CT, spine. Sagittal slice 234/512. 523x792 px. the image is 471 mm wide
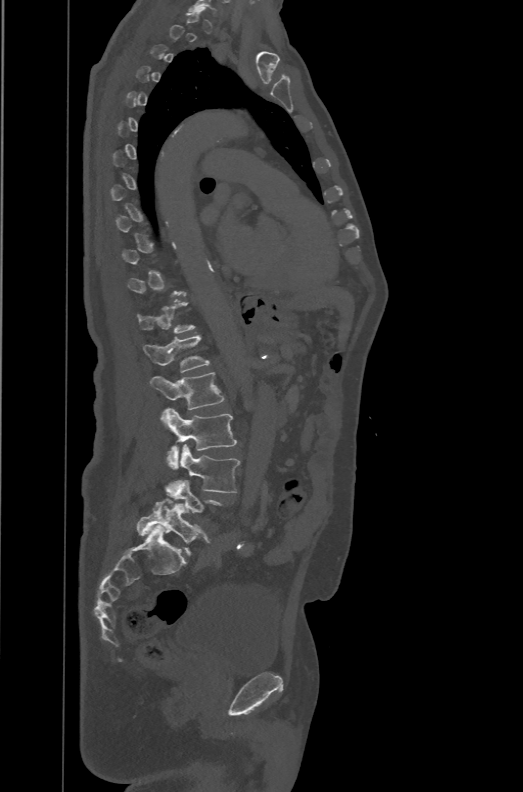
Each vertebra is boxed only on the slices from the first to the last where its cross-section reaches a third of its largest, so a slice outside that range leaves it unboxed.
The labels name a sixth lumbar vertebra for this spine: L6, after L5.
<vertebrae><v name="T12" x1="136" y1="302" x2="194" y2="333"/><v name="L1" x1="143" y1="335" x2="209" y2="372"/><v name="L2" x1="150" y1="372" x2="224" y2="428"/><v name="L3" x1="161" y1="408" x2="237" y2="468"/><v name="L4" x1="166" y1="444" x2="240" y2="493"/><v name="L6" x1="137" y1="498" x2="212" y2="554"/></vertebrae>